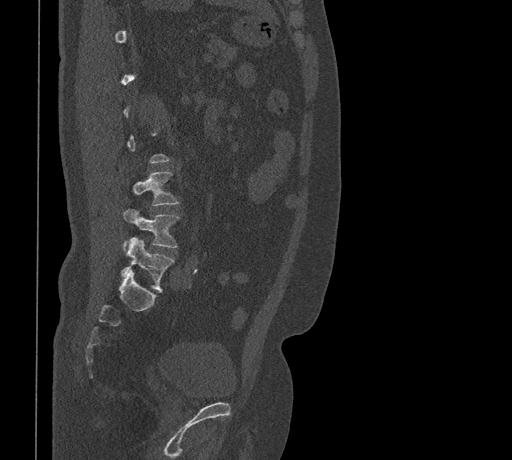

Computed tomography of the spine. sagittal reformat. bone window
Columns x1, y1, x2, y2 give each box's top-left and bottom-right pixels.
Not every vertebra on this slice has a box: a vertebra is boxed only from the first to the last slice where its cross-section is at least a third of its largest, and this slice is outside that range for at least one of them.
| vertebra | x1 | y1 | x2 | y2 |
|---|---|---|---|---|
| L3 | 132 | 171 | 180 | 206 |
| L4 | 123 | 209 | 180 | 247 |
| L5 | 121 | 237 | 174 | 291 |